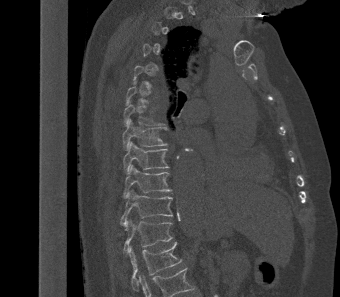
CT spine · sagittal view
Boxes: x1 y1 x2 y2 (pixel coords, space-separated).
Each vertebra is boxed only on the slices from the first to the last where its cross-section reaches a third of its largest, so a slice outside that range leaves it unboxed.
Vertebra bounding boxes:
- L1: 127 241 181 290
- T12: 123 219 173 253
- T11: 120 189 173 227
- T10: 123 164 172 198
- T9: 123 141 169 173
- T8: 122 119 167 150
- T7: 123 103 159 127